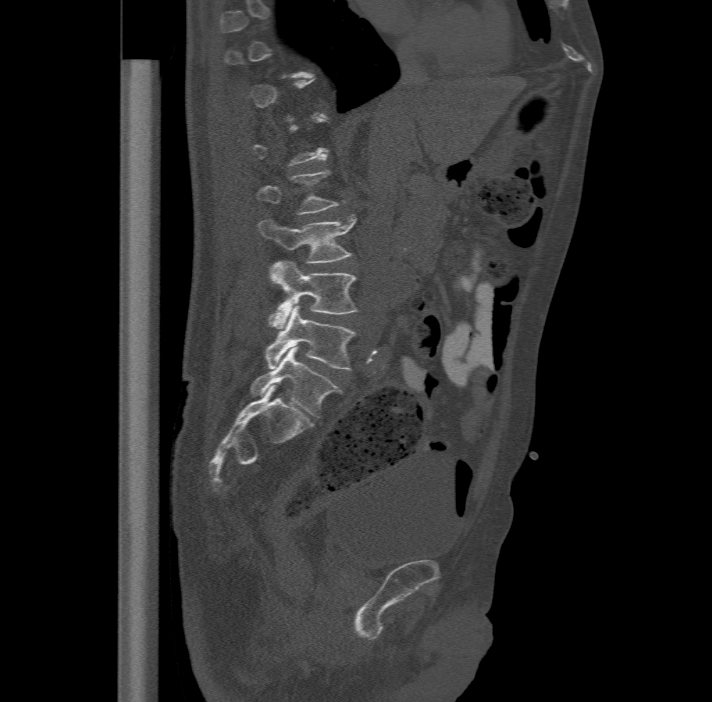 CT · sagittal view · 712x702 px · the image is 477 mm wide
Each box given as x1,y1,x2,y2.
A vertebra is boxed only from the first to the last slice where its cross-section is at least a third of its largest; slices outside that range leave it without a box.
In these labels the spine has an L6, a sixth lumbar vertebra below L5.
Vertebra bounding boxes:
- L6: x1=250, y1=347, x2=338, y2=418
- L5: x1=266, y1=305, x2=355, y2=370
- L4: x1=268, y1=259, x2=358, y2=328
- L3: x1=259, y1=215, x2=355, y2=261